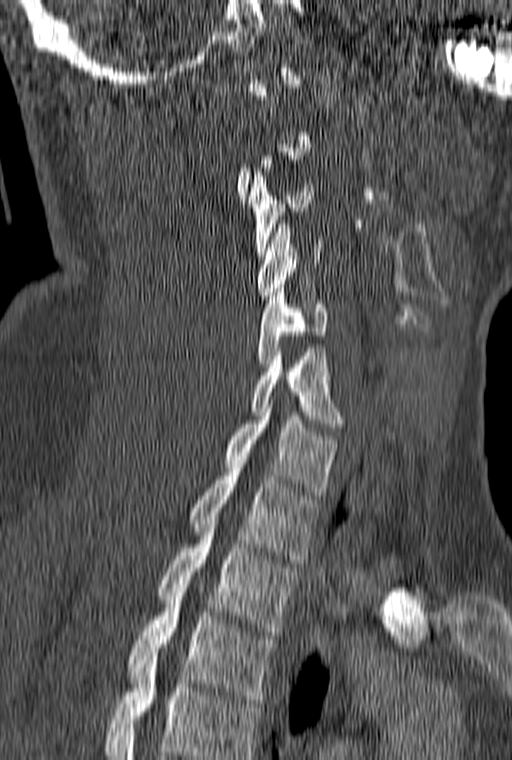 CT, spine · sagittal reformat · 512x760 px
Box edges are left/top/right/bottom in pixels.
Not every vertebra on this slice has a box: a vertebra is boxed only from the first to the last slice where its cross-section is at least a third of its largest, and this slice is outside that range for at least one of them.
In this scan, the topmost labeled vertebra is C1 and the lowest is T3.
Vertebra bounding boxes:
- C3: left=248, top=168, right=313, bottom=255
- C4: left=257, top=220, right=323, bottom=299
- C5: left=257, top=288, right=327, bottom=367
- C6: left=251, top=348, right=343, bottom=427
- C7: left=225, top=400, right=336, bottom=495
- T1: left=190, top=464, right=319, bottom=563
- T2: left=158, top=520, right=298, bottom=635
- T3: left=129, top=592, right=275, bottom=703